CT — sagittal view — 204x272 px
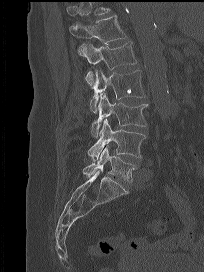
Coordinates as <box>x1,y1,x2,y2</box>. No box is given to a vertebra that the top edge of the scan cuts off. 6 vertebrae labeled — T12 at <box>69,15,126,56</box>; L1 at <box>79,41,136,86</box>; L2 at <box>90,69,145,112</box>; L3 at <box>91,93,148,137</box>; L4 at <box>88,118,145,160</box>; L5 at <box>83,146,135,183</box>.